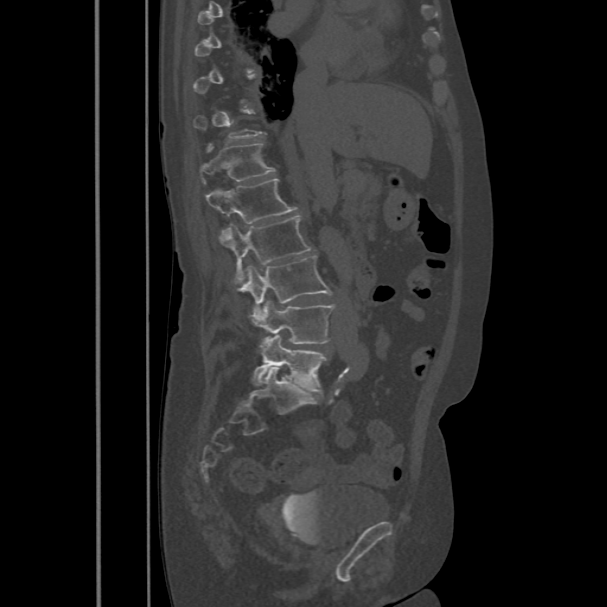

Computed tomography of the spine. sagittal view

Box edges are left/top/right/bottom in pixels.
A vertebra is boxed only from the first to the last slice where its cross-section is at least a third of its largest; slices outside that range leave it without a box.
Vertebra bounding boxes:
- L5: left=253, top=335, right=326, bottom=392
- L4: left=254, top=300, right=334, bottom=351
- L3: left=242, top=255, right=332, bottom=319
- L2: left=218, top=216, right=311, bottom=285
- L1: left=205, top=178, right=298, bottom=224
- T12: left=200, top=143, right=275, bottom=181